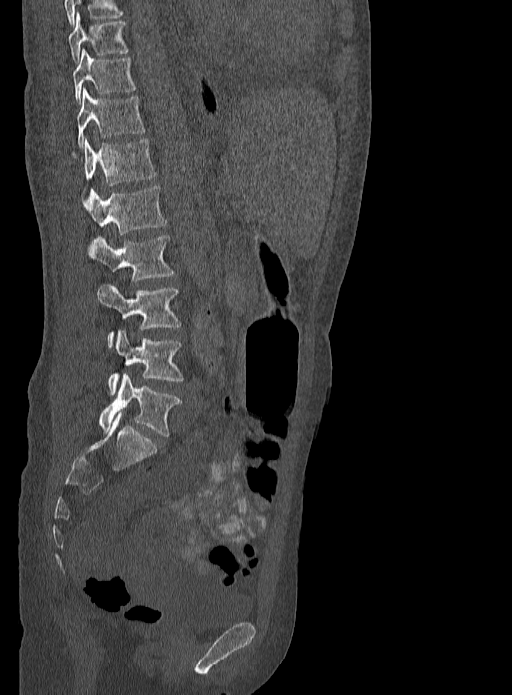
Spine computed tomography — the image spans 333 mm across — sagittal reformat — 512x695 px
Each row gives a vertebra's box as x1, y1, x2, y2 in pixels: top-left corner, then bottom-right corner.
| vertebra | x1 | y1 | x2 | y2 |
|---|---|---|---|---|
| T9 | 69 | 12 | 129 | 62 |
| T10 | 74 | 49 | 136 | 104 |
| T11 | 77 | 88 | 145 | 148 |
| T12 | 81 | 138 | 157 | 200 |
| L1 | 85 | 186 | 168 | 234 |
| L2 | 89 | 235 | 176 | 282 |
| L3 | 98 | 284 | 182 | 348 |
| L4 | 107 | 331 | 185 | 394 |
| L5 | 100 | 374 | 182 | 436 |